CT — sagittal reformat — bone-window reconstruction — image width 356 mm
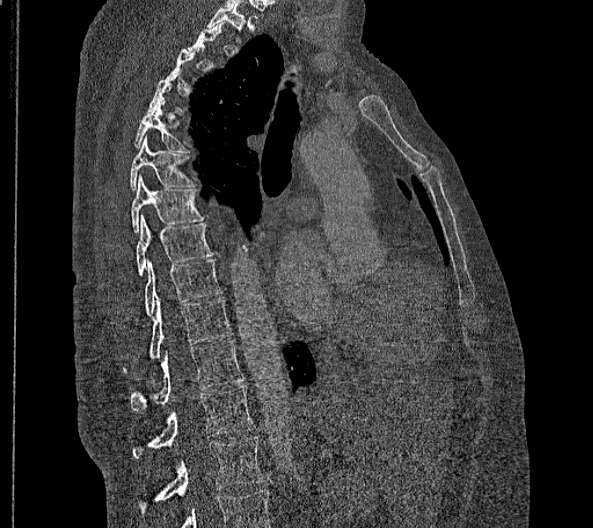

Each vertebra maps to its box as [x1, y1, x2, y2], the pixel coordinates of its top-left and bottom-right corners.
Not every vertebra on this slice has a box: a vertebra is boxed only from the first to the last slice where its cross-section is at least a third of its largest, and this slice is outside that range for at least one of them.
In these labels the spine has no T12: the thoracic vertebrae end at T11, and L1 comes next.
{"vertebrae":{"T5":[134,98,189,152],"T6":[130,135,194,190],"T7":[131,174,204,232],"T8":[137,214,212,275],"T9":[145,259,220,314],"T10":[122,297,232,373],"T11":[131,340,244,411],"L1":[132,385,254,457],"L2":[138,437,263,513]}}